CT, spine — sagittal reformat — 392 mm across the image — 8 vertebrae labeled in this scan
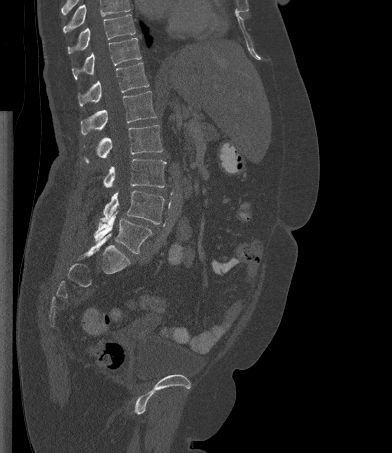
Coordinates as <box>x1,y1,x2,y2</box>.
Vertebrae that run past the top of the scan are left unlabeled.
Vertebra bounding boxes:
- T10: <box>67,14,135,53</box>
- T11: <box>72,37,141,79</box>
- T12: <box>78,62,149,106</box>
- L1: <box>80,91,156,135</box>
- L2: <box>84,125,162,162</box>
- L3: <box>103,159,166,187</box>
- L4: <box>100,190,164,224</box>
- L5: <box>94,211,152,254</box>